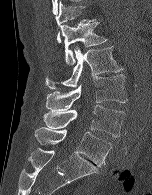
Computed tomography of the spine — sagittal reformat — bone window. Each box given as x1,y1,x2,y2. 6 vertebrae labeled — T12 at x1=55, y1=1, x2=95, y2=42; L1 at x1=61, y1=22, x2=107, y2=65; L2 at x1=45, y1=47, x2=122, y2=89; L3 at x1=45, y1=74, x2=127, y2=111; L4 at x1=43, y1=105, x2=125, y2=137; L5 at x1=34, y1=127, x2=112, y2=166.